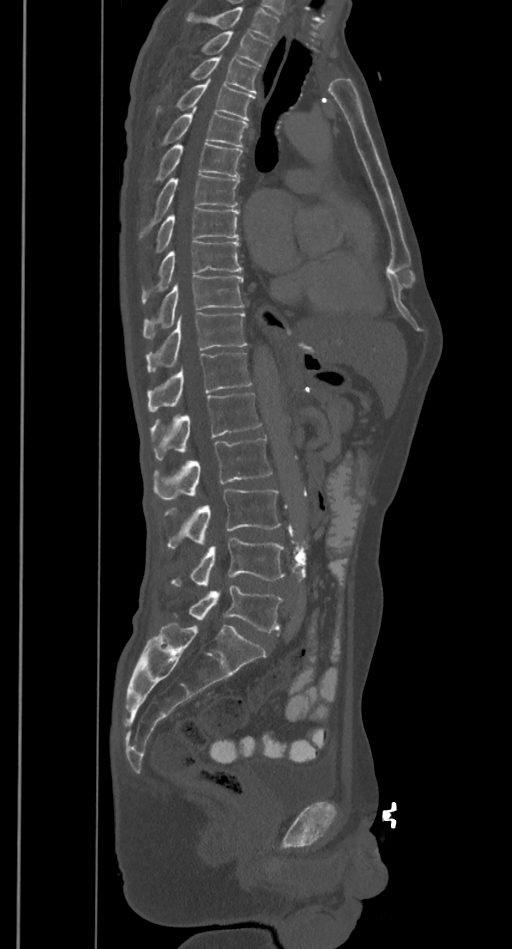 Computed tomography of the spine; sagittal reformat

Box edges are left/top/right/bottom in pixels.
Where the top of the scan cuts through a vertebra, that vertebra gets no label or box.
L5: left=189, top=586, right=283, bottom=632
L4: left=171, top=537, right=285, bottom=587
L3: left=165, top=490, right=281, bottom=548
L2: left=154, top=437, right=271, bottom=500
L1: left=150, top=391, right=262, bottom=460
T12: left=147, top=352, right=252, bottom=411
T11: left=146, top=312, right=246, bottom=372
T10: left=143, top=275, right=245, bottom=338
T9: left=142, top=241, right=242, bottom=302
T8: left=157, top=208, right=240, bottom=252
T7: left=142, top=174, right=240, bottom=235
T6: left=157, top=144, right=242, bottom=180
T5: left=163, top=108, right=248, bottom=146
T4: left=178, top=79, right=254, bottom=120
T3: left=191, top=55, right=259, bottom=94
T2: left=203, top=30, right=271, bottom=65